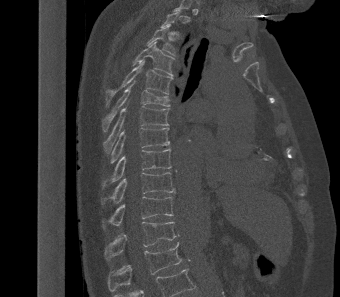 Computed tomography of the spine; sagittal reformat; 340 mm wide; Bone window (WL 400, WW 1800). Boxes: x1:y1:x2:y2 in pixels. A vertebra gets a box only on the slices from the first to the last where its cross-section is at least a third of its largest; on a slice outside that range it gets none. The labeled vertebrae in this slice are: L1 at 107:242:181:291, T12 at 104:222:176:260, T11 at 102:196:173:228, T10 at 101:172:175:204, T9 at 102:149:171:187, T8 at 110:128:170:163, T7 at 103:106:169:151, T6 at 103:81:169:131, T5 at 106:60:173:104, T4 at 132:42:174:75, T3 at 146:24:177:55.